CT spine · the image is 350 mm wide · sagittal view · 512x1305 px · a portion of the image is blanked out (constant pixel value)
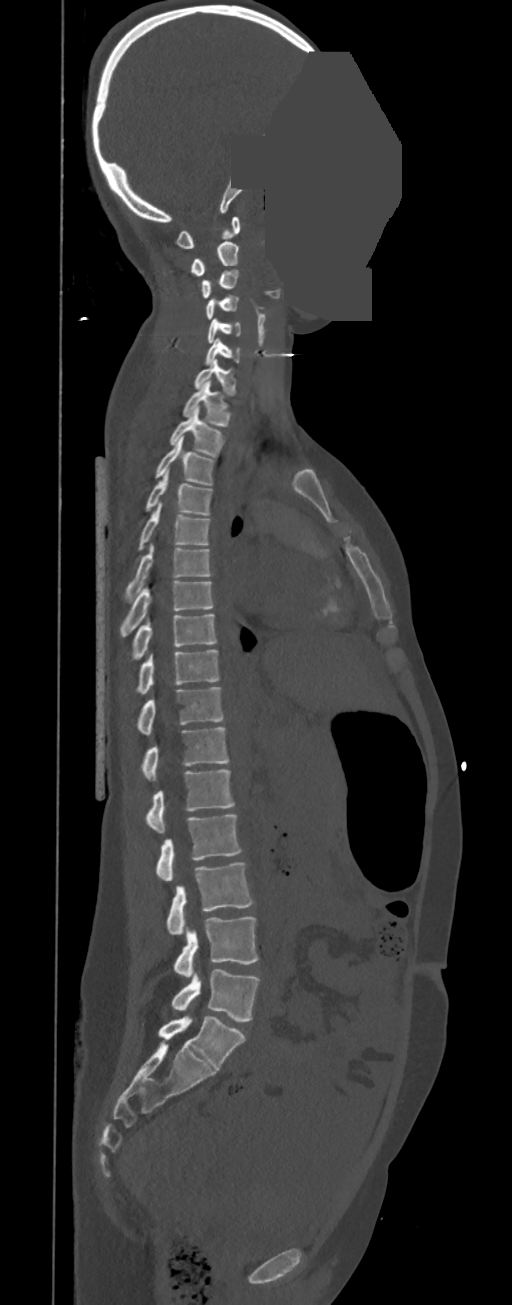 Boxes are (x1, y1, x2, y2) in pixels. In these labels the spine has no T12: the thoracic vertebrae end at T11, and L1 comes next. 23 vertebrae labeled — C1 at (175, 216, 240, 248); C2 at (191, 241, 239, 275); C3 at (202, 270, 238, 298); C4 at (206, 295, 238, 319); C5 at (207, 319, 241, 343); C6 at (205, 337, 240, 365); C7 at (194, 359, 236, 395); T1 at (183, 380, 230, 427); T2 at (169, 406, 224, 457); T3 at (156, 436, 214, 485); T4 at (146, 467, 212, 515); T5 at (139, 502, 209, 549); T6 at (124, 544, 211, 603); T7 at (120, 581, 212, 636); T8 at (130, 614, 217, 660); T9 at (134, 649, 220, 694); T10 at (136, 687, 224, 735); T11 at (140, 727, 228, 780); L1 at (145, 769, 234, 832); L2 at (155, 814, 242, 880); L3 at (167, 862, 253, 934); L4 at (174, 916, 259, 976); L5 at (171, 970, 259, 1022).